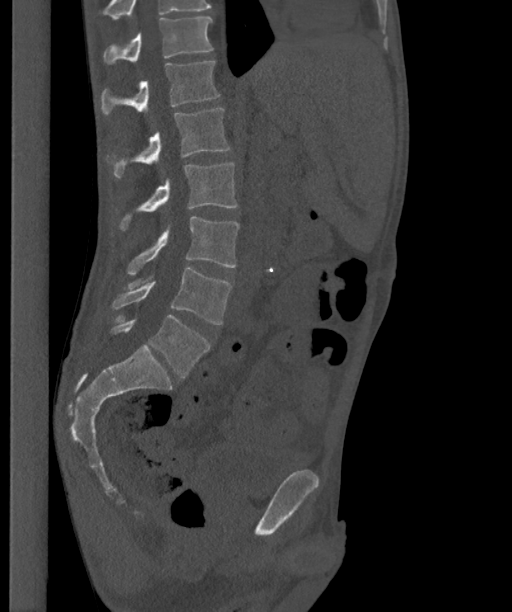 CT spine — sagittal view — bone window

Coordinates as <box>x1,y1,x2,y2</box>.
In this scan, the topmost labeled vertebra is T12 and the lowest is L6.
In these labels the spine has an L6, a sixth lumbar vertebra below L5.
Vertebra bounding boxes:
- T12: <box>103,17,213,64</box>
- L1: <box>101,61,219,115</box>
- L2: <box>107,108,230,177</box>
- L3: <box>120,162,237,230</box>
- L4: <box>127,216,239,274</box>
- L5: <box>111,267,232,324</box>
- L6: <box>110,315,209,377</box>